Spine computed tomography · sagittal plane, index 271 · 8 vertebrae labeled in this scan
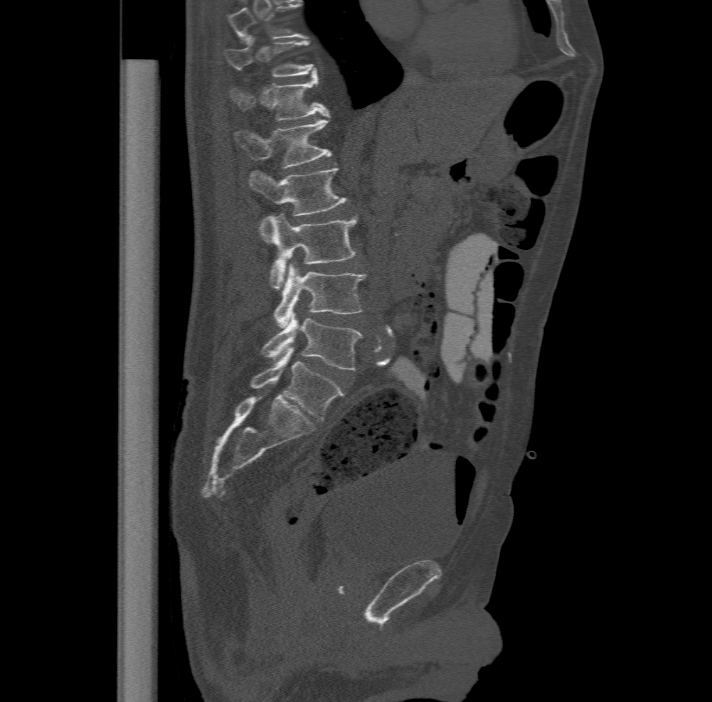 Coordinates as <box>x1,y1,x2,y2</box>.
Labels in this scan begin with T11 at the top and end with L6 at the bottom.
In these labels the spine has an L6, a sixth lumbar vertebra below L5.
T11: <box>224,37,317,76</box>
T12: <box>229,74,329,120</box>
L1: <box>234,116,331,167</box>
L2: <box>249,167,348,241</box>
L3: <box>268,212,358,288</box>
L4: <box>273,262,366,327</box>
L5: <box>261,314,362,370</box>
L6: <box>250,348,344,421</box>